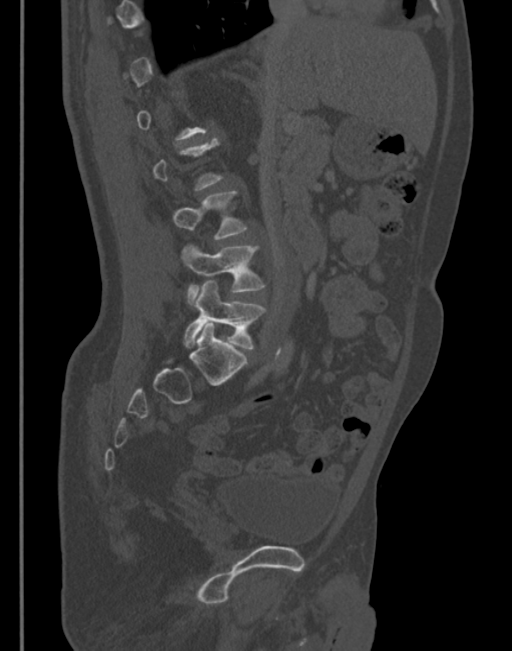

Spine CT; sagittal view; 512x651 px

Boxes below are [x1, y1, x2, y2] in pixels.
Not every vertebra on this slice has a box: a vertebra is boxed only from the first to the last slice where its cross-section is at least a third of its largest, and this slice is outside that range for at least one of them.
{"vertebrae":{"L5":[184,280,266,350],"L4":[179,242,264,304],"L3":[172,191,248,239]}}